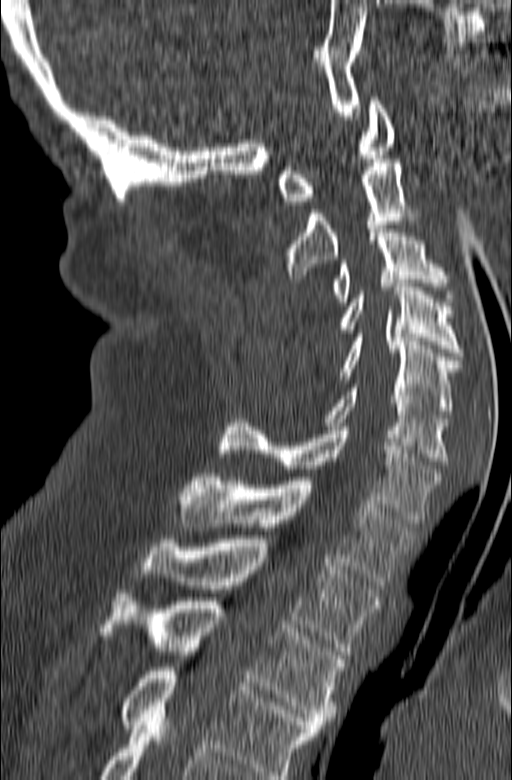

Computed tomography of the spine — the image spans 165 mm across — sagittal view — Bone window (WL 400, WW 1800)
Box values are [left, top, right, bottom] in pixels.
The highest labeled vertebra in this scan is C1; the lowest is T3.
{"vertebrae":{"C1":[278,97,394,205],"C2":[287,159,423,278],"C3":[333,225,455,305],"C4":[339,283,462,356],"C5":[339,334,459,418],"C6":[324,384,447,461],"C7":[218,419,439,523],"T1":[178,473,416,585],"T2":[140,539,379,655],"T3":[99,590,344,728]}}